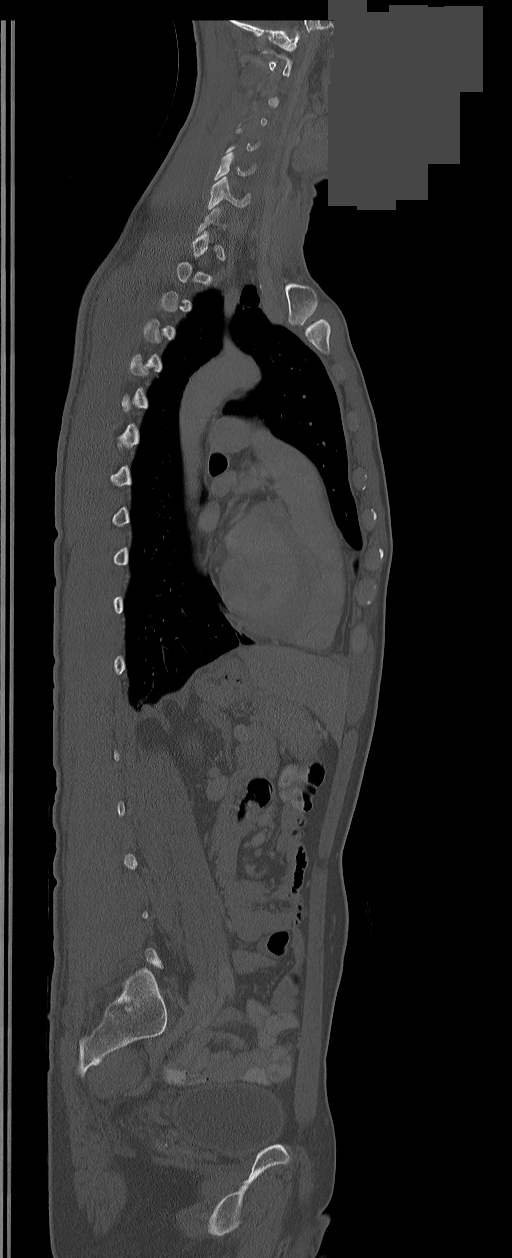
CT, spine · sagittal reformat · 512x1258 px · a portion of the image is blanked out (constant pixel value). Coordinates as <box>x1,y1,x2,y2</box>. Each vertebra is boxed only on the slices from the first to the last where its cross-section reaches a third of its largest, so a slice outside that range leaves it unboxed. 2 vertebrae labeled — C5 at <box>215,152,254,179</box>; C6 at <box>208,177,249,208</box>.